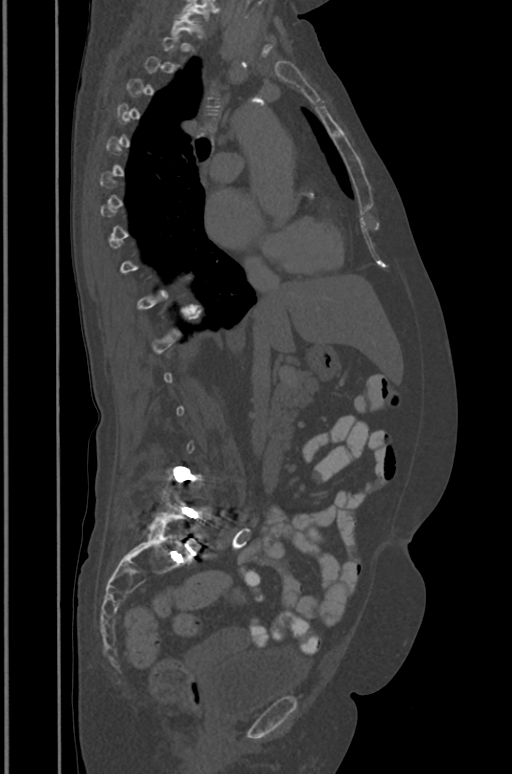 CT. sagittal view. 512x774 px

Boxes: x1 y1 x2 y2 (pixel coords, space-separated).
Each vertebra is boxed only on the slices from the first to the last where its cross-section reaches a third of its largest, so a slice outside that range leaves it unboxed.
Labels in this scan begin with T1 at the top and end with L5 at the bottom.
T1: 170 14 198 35
L5: 147 486 209 547